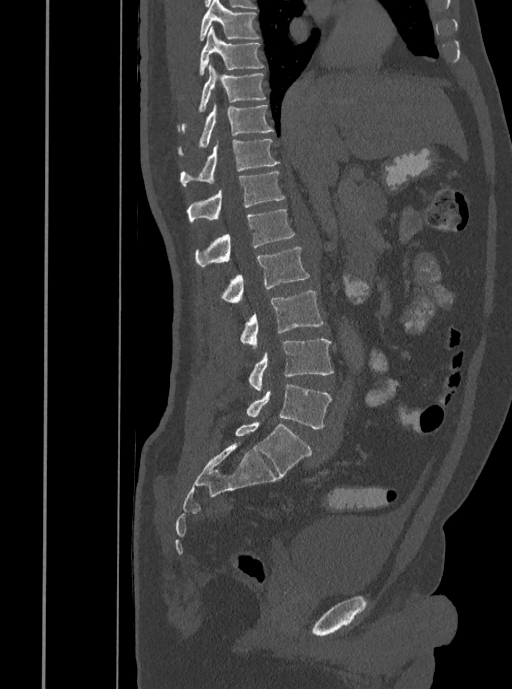
Spine CT. sagittal view
Columns x1, y1, x2, y2 give each box's top-left and bottom-right pixels.
| vertebra | x1 | y1 | x2 | y2 |
|---|---|---|---|---|
| T7 | 199 | 0 | 259 | 41 |
| T8 | 199 | 26 | 264 | 75 |
| T9 | 182 | 60 | 265 | 131 |
| T10 | 178 | 103 | 274 | 155 |
| T11 | 181 | 139 | 280 | 186 |
| T12 | 186 | 171 | 285 | 223 |
| L1 | 194 | 210 | 295 | 267 |
| L2 | 221 | 247 | 309 | 303 |
| L3 | 240 | 290 | 324 | 347 |
| L4 | 248 | 339 | 333 | 391 |
| L5 | 246 | 384 | 331 | 428 |